CT — sagittal reformat — 9 vertebrae labeled in this scan — 205 mm image width — a region of this slice is masked with a uniform fill
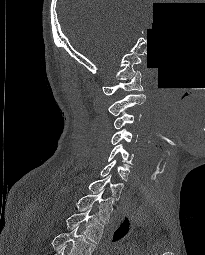 Each row gives a vertebra's box as x1, y1, x2, y2 in pixels: top-left corner, then bottom-right corner.
In this scan, the topmost labeled vertebra is C1 and the lowest is T2.
| vertebra | x1 | y1 | x2 | y2 |
|---|---|---|---|---|
| C1 | 102 | 71 | 143 | 94 |
| C2 | 107 | 94 | 145 | 116 |
| C3 | 113 | 113 | 141 | 129 |
| C4 | 111 | 129 | 137 | 144 |
| C5 | 108 | 144 | 133 | 164 |
| C6 | 100 | 160 | 132 | 181 |
| C7 | 88 | 174 | 123 | 200 |
| T1 | 75 | 189 | 113 | 223 |
| T2 | 66 | 207 | 104 | 243 |